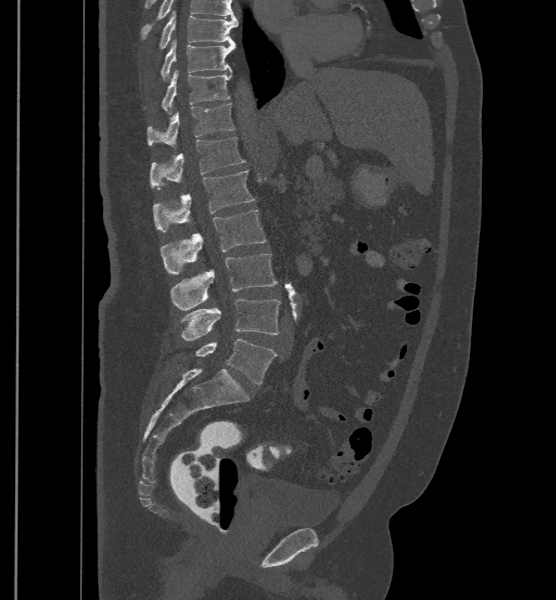

Computed tomography of the spine · sagittal view · image width 500 mm · W/L 1800/400 HU
Each vertebra maps to its box as [x1, y1, x2, y2], the pixel coordinates of its top-left and bottom-right corners.
In these labels the spine has an L6, a sixth lumbar vertebra below L5.
{"vertebrae":{"L6":[195,339,277,385],"L5":[180,298,280,340],"L4":[171,253,277,310],"L3":[160,210,266,274],"L2":[153,170,255,231],"L1":[150,137,245,189],"T12":[148,103,234,148],"T11":[162,69,231,112],"T10":[161,39,234,80],"T9":[160,10,238,48]}}